Spine computed tomography — the image spans 368 mm across — sagittal plane, index 225 — scan covers 24 annotated vertebrae — some of the image was removed or blocked out with constant pixels
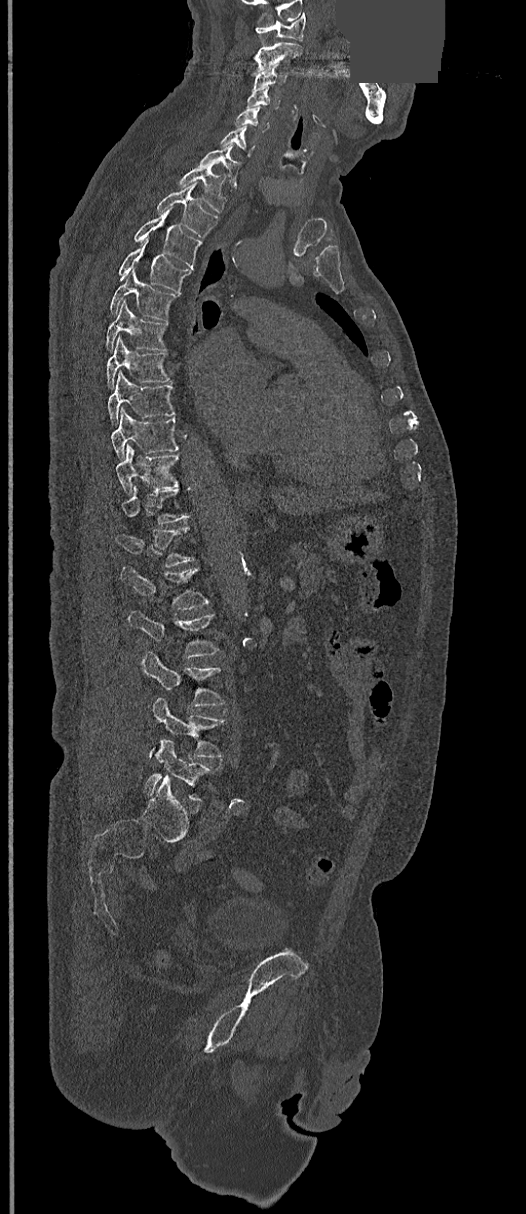
Each vertebra maps to its box as [x1, y1, x2, y2], the pixel coordinates of its top-left and bottom-right corners.
Not every vertebra on this slice has a box: a vertebra is boxed only from the first to the last slice where its cross-section is at least a third of its largest, and this slice is outside that range for at least one of them.
{"vertebrae":{"C1":[256,13,306,40],"C2":[252,43,302,75],"C3":[253,64,285,88],"C4":[246,87,280,109],"C5":[234,106,270,132],"C6":[220,126,256,156],"C7":[198,144,240,188],"T1":[179,166,225,212],"T2":[157,184,218,238],"T3":[135,208,201,268],"T4":[118,239,190,292],"T5":[109,268,178,320],"T6":[106,301,166,350],"T7":[107,336,170,388],"T8":[109,370,175,422],"T9":[111,409,178,458],"T10":[115,446,178,493],"T12":[115,527,193,566],"L1":[120,567,207,610],"L2":[127,611,218,658],"L3":[142,651,225,708],"L4":[148,697,225,758],"L5":[144,740,212,800]}}